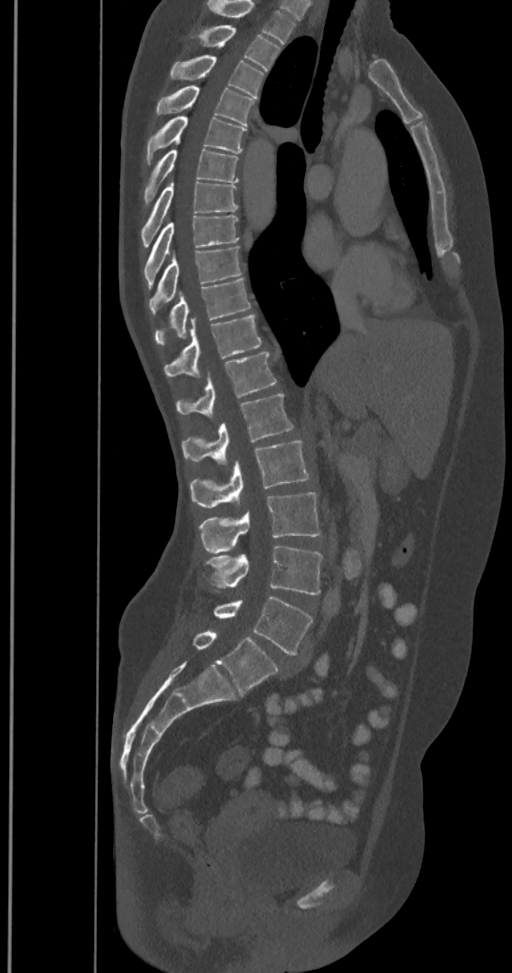
Spine CT. the image is 350 mm wide. sagittal view. Bone window (WL 400, WW 1800). 512x973 px. Box edges are left/top/right/bottom in pixels.
Labels in this scan begin with T2 at the top and end with L6 at the bottom.
In these labels the spine has an L6, a sixth lumbar vertebra below L5.
T2: left=199, top=25, right=280, bottom=71
T3: left=169, top=54, right=264, bottom=98
T4: left=156, top=86, right=255, bottom=125
T5: left=146, top=116, right=246, bottom=164
T6: left=143, top=150, right=239, bottom=206
T7: left=140, top=179, right=237, bottom=247
T8: left=143, top=216, right=239, bottom=286
T9: left=149, top=246, right=242, bottom=314
T10: left=155, top=278, right=250, bottom=344
T11: left=164, top=315, right=261, bottom=377
T12: left=175, top=352, right=277, bottom=418
L1: left=181, top=394, right=293, bottom=465
L2: left=190, top=441, right=309, bottom=507
L3: left=199, top=492, right=321, bottom=552
L4: left=206, top=546, right=322, bottom=594
L5: left=213, top=595, right=312, bottom=655
L6: left=193, top=631, right=278, bottom=695